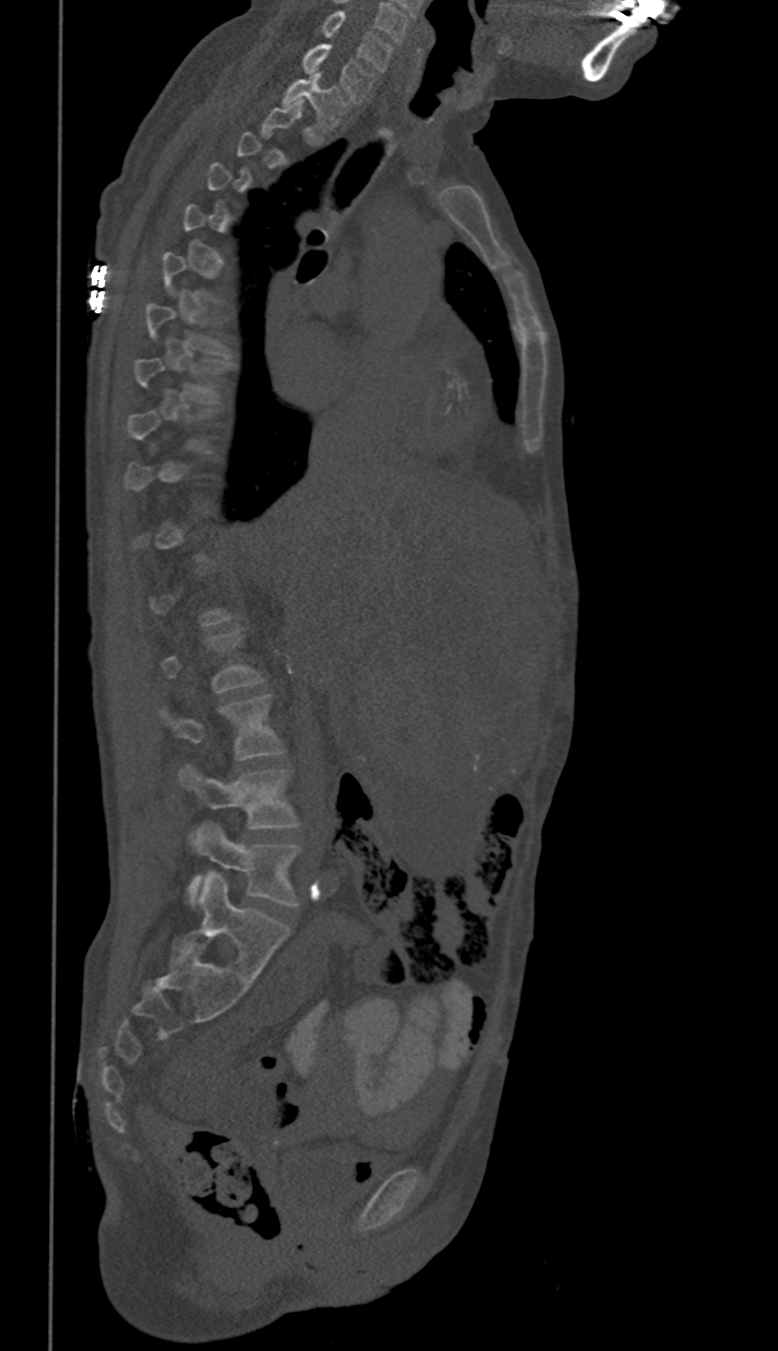
Spine computed tomography · sagittal view · the image is 350 mm wide · 778x1351 px
Each box given as x1,y1,x2,y2.
Each vertebra is boxed only on the slices from the first to the last where its cross-section reaches a third of its largest, so a slice outside that range leaves it unboxed.
C6: x1=324, y1=12, x2=392, y2=71
C7: x1=304, y1=45, x2=374, y2=102
T1: x1=281, y1=72, x2=347, y2=126
L3: x1=164, y1=696, x2=283, y2=759
L4: x1=179, y1=767, x2=297, y2=828
L5: x1=188, y1=823, x2=298, y2=906